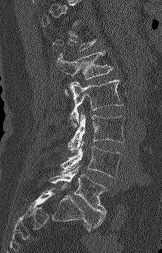
Spine CT; sagittal view

Coordinates as <box>x1,y1,x2,y2</box>. Not every vertebra on this slice has a box: a vertebra is boxed only from the first to the last slice where its cross-section is at least a third of its largest, and this slice is outside that range for at least one of them. Vertebrae labeled: L1 at <box>56,52,113,95</box>, L2 at <box>69,79,123,127</box>, L3 at <box>68,112,125,152</box>, L4 at <box>60,141,121,178</box>, L5 at <box>49,166,105,229</box>.